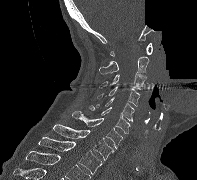 CT, spine — sagittal view — Bone window (WL 400, WW 1800) — image 197 mm wide — part of the image is constant black where the scan was masked
<vertebrae><v name="T2" x1="38" y1="137" x2="102" y2="174"/><v name="T1" x1="53" y1="124" x2="114" y2="160"/><v name="C7" x1="72" y1="111" x2="122" y2="148"/><v name="C6" x1="89" y1="105" x2="130" y2="134"/><v name="C5" x1="96" y1="98" x2="134" y2="122"/><v name="C4" x1="97" y1="86" x2="140" y2="106"/><v name="C3" x1="99" y1="73" x2="146" y2="89"/><v name="C2" x1="99" y1="56" x2="149" y2="74"/><v name="C1" x1="110" y1="43" x2="152" y2="56"/></vertebrae>